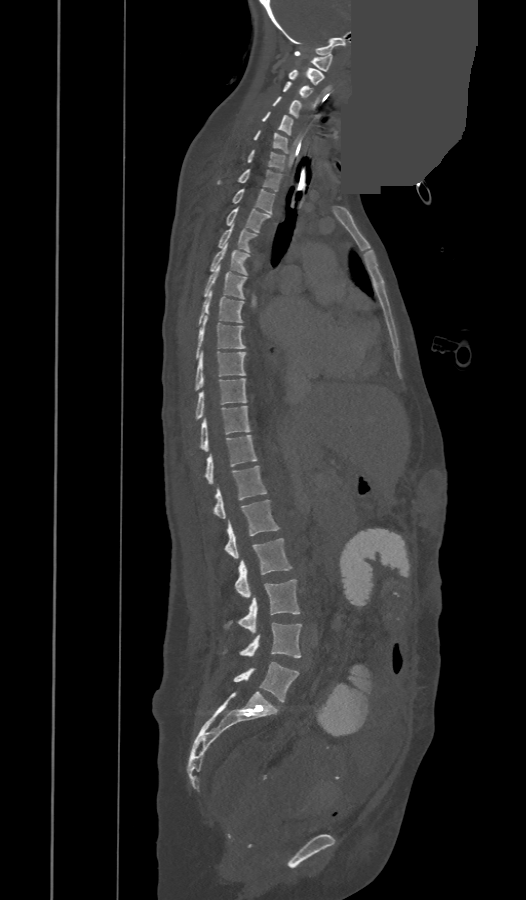
CT, spine. the image is 473 mm wide. sagittal reformat. 526x900 px. part of the image is a flat gray fill, not anatomy
Boxes: x1:y1:x2:y2 in pixels.
These labels give the spine a thirteenth thoracic vertebra: T13 sits between T12 and L1.
L5: 233:662:299:701
L4: 240:622:301:657
L3: 226:579:299:632
L2: 234:538:292:597
L1: 225:499:279:558
T13: 214:466:267:518
T12: 204:435:257:484
T11: 200:406:250:451
T10: 195:378:246:419
T9: 194:350:245:389
T8: 195:316:245:358
T7: 198:290:243:324
T6: 204:266:246:298
T5: 210:243:249:275
T4: 218:226:256:251
T3: 227:208:271:231
T2: 232:189:274:214
T1: 218:169:281:191
C7: 247:150:285:170
C6: 254:130:287:152
C5: 262:112:293:135
C4: 272:97:301:117
C3: 283:81:312:97
C2: 288:68:323:85
C1: 294:51:333:71